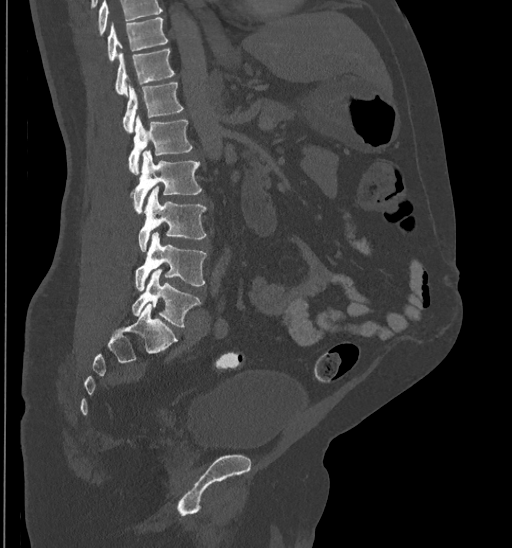 Spine CT · sagittal view · bone window. Columns x1, y1, x2, y2 give each box's top-left and bottom-right pixels.
No box is given to a vertebra that the top edge of the scan cuts off.
| vertebra | x1 | y1 | x2 | y2 |
|---|---|---|---|---|
| T10 | 107 | 17 | 167 | 60 |
| T11 | 115 | 49 | 173 | 96 |
| T12 | 122 | 82 | 183 | 132 |
| L1 | 128 | 115 | 192 | 174 |
| L2 | 131 | 150 | 201 | 213 |
| L3 | 138 | 187 | 206 | 251 |
| L4 | 135 | 232 | 206 | 290 |
| L5 | 132 | 269 | 200 | 326 |